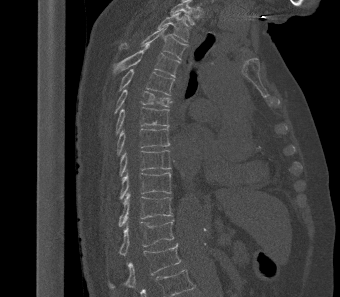 CT spine · sagittal view · bone window
Each box given as x1,y1,x2,y2.
Labels in this scan begin with T2 at the top and end with L1 at the bottom.
Vertebra bounding boxes:
- T2: x1=157, y1=12, x2=190, y2=42
- T3: x1=120, y1=26, x2=186, y2=59
- T4: x1=113, y1=45, x2=180, y2=77
- T5: x1=119, y1=69, x2=174, y2=95
- T6: x1=114, y1=89, x2=172, y2=114
- T7: x1=115, y1=107, x2=169, y2=134
- T8: x1=117, y1=128, x2=170, y2=155
- T9: x1=119, y1=150, x2=171, y2=176
- T10: x1=119, y1=172, x2=171, y2=200
- T11: x1=118, y1=192, x2=172, y2=227
- T12: x1=119, y1=220, x2=174, y2=255
- L1: x1=108, y1=243, x2=181, y2=289